CT — sagittal view — 369x669 px — 369 mm across the image
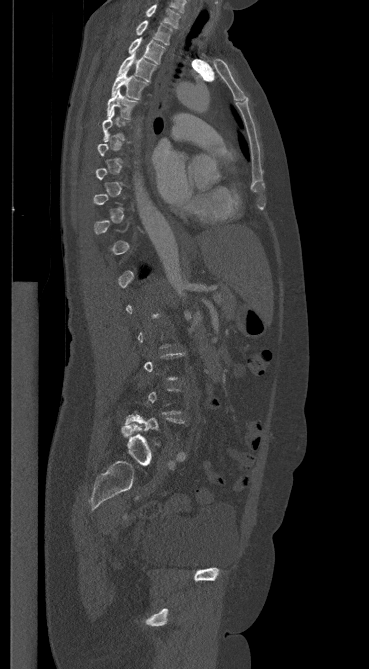 Bounding boxes as [x1, y1, x2, y2] in pixel coordinates. A vertebra gets a box only on the slices from the first to the last where its cross-section is at least a third of its largest; on a slice outside that range it gets none. 6 vertebrae labeled — C7 at [145, 4, 179, 28]; T1 at [135, 20, 172, 44]; T2 at [128, 38, 164, 63]; T3 at [118, 52, 156, 81]; T4 at [112, 69, 147, 99]; T5 at [107, 89, 137, 119].